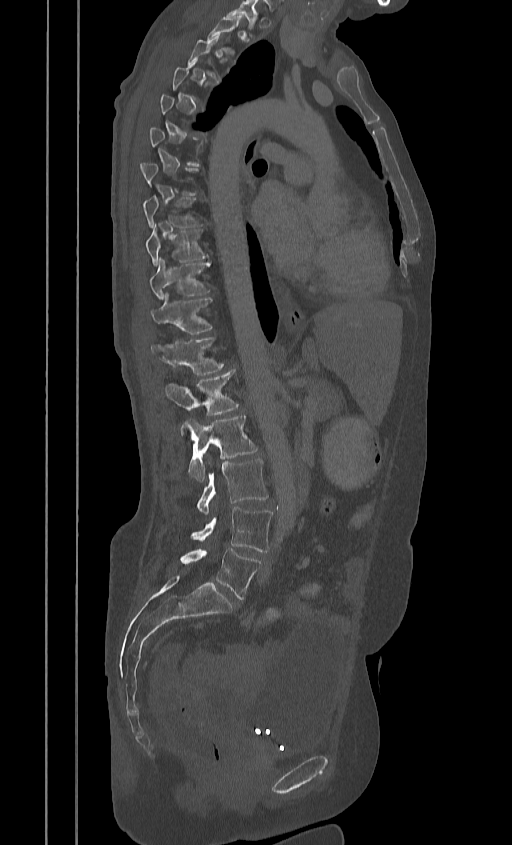
Spine CT. sagittal view. bone-window reconstruction. the image spans 384 mm across. 512x845 px

Coordinates as <box>x1,y1,x2,y2</box>.
A vertebra gets a box only on the slices from the first to the last where its cross-section is at least a third of its largest; on a slice outside that range it gets none.
Vertebra bounding boxes:
- L5: <box>180,549,260,599</box>
- L4: <box>190,507,272,552</box>
- L3: <box>196,459,268,514</box>
- L2: <box>186,415,257,482</box>
- L1: <box>165,371,239,415</box>
- T12: <box>150,337,224,375</box>
- T11: <box>150,293,212,334</box>
- T10: <box>149,259,211,299</box>
- T9: <box>145,224,208,266</box>
- T8: <box>142,193,201,227</box>
- T3: <box>188,37,219,79</box>